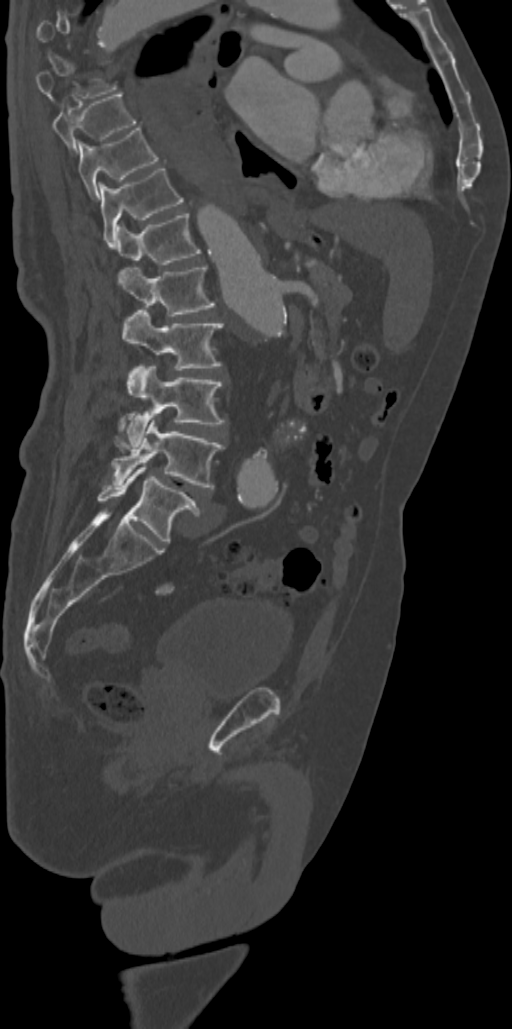
CT, spine · sagittal view · Bone window (WL 400, WW 1800) · image 342 mm wide
Boxes are given in columns x1, y1, x2, y2, the pixel coordinates of their top-left and bottom-right corners.
Each vertebra is boxed only on the slices from the first to the last where its cross-section reaches a third of its largest, so a slice outside that range leaves it unboxed.
| vertebra | x1 | y1 | x2 | y2 |
|---|---|---|---|---|
| L5 | 97 | 465 | 199 | 543 |
| L4 | 112 | 418 | 223 | 489 |
| L3 | 126 | 364 | 225 | 446 |
| L2 | 123 | 310 | 223 | 370 |
| L1 | 118 | 265 | 214 | 316 |
| T12 | 117 | 213 | 201 | 264 |
| T11 | 99 | 166 | 183 | 246 |
| T10 | 78 | 126 | 159 | 199 |
| T9 | 52 | 92 | 137 | 154 |